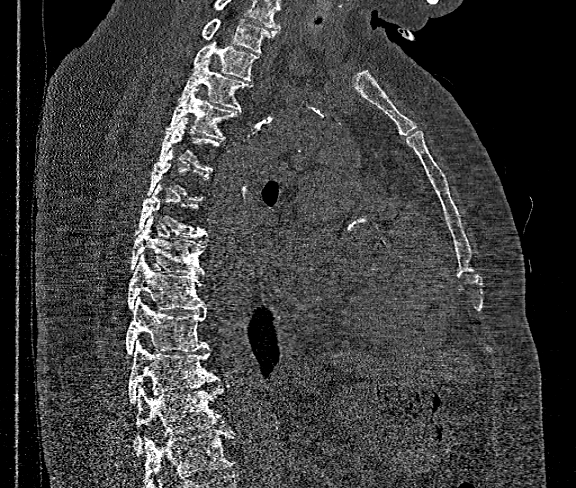

CT spine; sagittal view

Boxes are (x1, y1, x2, y2) in pixels.
Each vertebra is boxed only on the slices from the first to the last where its cross-section reaches a third of its largest, so a slice outside that range leaves it unboxed.
No box is given to a vertebra that the bottom edge of the scan cuts off.
In this scan, the topmost labeled vertebra is T1 and the lowest is T12.
T1: (202, 18, 276, 52)
T2: (193, 37, 258, 79)
T3: (179, 58, 249, 110)
T4: (166, 87, 237, 140)
T5: (160, 117, 219, 171)
T7: (136, 182, 207, 238)
T8: (129, 216, 205, 273)
T9: (128, 255, 205, 310)
T10: (126, 297, 208, 355)
T11: (128, 341, 218, 403)
T12: (133, 386, 225, 454)